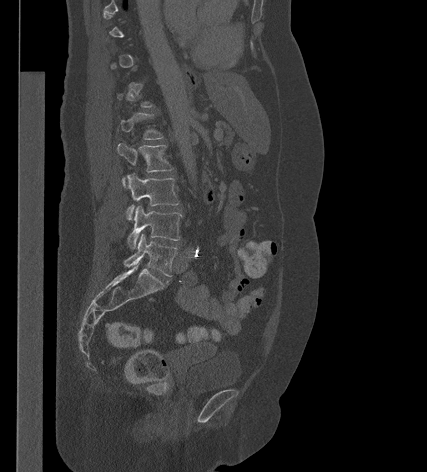
Computed tomography of the spine; sagittal view; W/L 1800/400 HU; 427x472 px. Coordinates as <box>x1,y1,x2,y2</box>.
A vertebra gets a box only on the slices from the first to the last where its cross-section is at least a third of its largest; on a slice outside that range it gets none.
L1: <box>118,113,163,139</box>
L2: <box>117,142,173,172</box>
L3: <box>126,173,179,220</box>
L4: <box>127,205,182,248</box>
L5: <box>124,234,178,276</box>